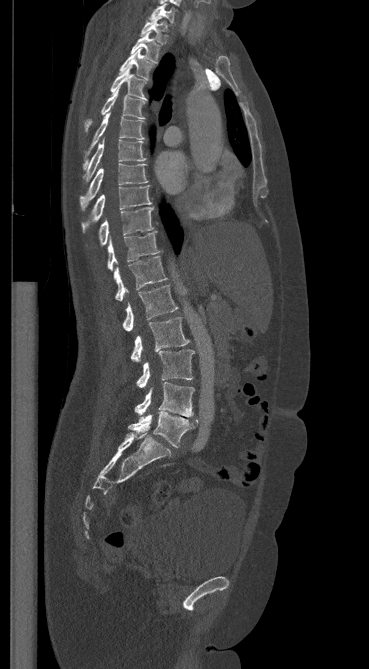
CT spine. sagittal view. 369x669 px
Each box given as x1,y1,x2,y2.
C7: x1=149, y1=3, x2=175, y2=24
T1: x1=140, y1=17, x2=167, y2=43
T2: x1=131, y1=32, x2=159, y2=62
T3: x1=119, y1=49, x2=152, y2=80
T4: x1=110, y1=67, x2=147, y2=100
T5: x1=84, y1=87, x2=145, y2=131
T6: x1=83, y1=112, x2=143, y2=169
T7: x1=83, y1=140, x2=145, y2=182
T8: x1=79, y1=163, x2=147, y2=210
T9: x1=82, y1=185, x2=151, y2=232
T10: x1=98, y1=207, x2=153, y2=245
T11: x1=107, y1=232, x2=159, y2=270
T12: x1=114, y1=256, x2=166, y2=301
L1: x1=122, y1=285, x2=177, y2=331
L2: x1=130, y1=317, x2=189, y2=361
L3: x1=136, y1=349, x2=194, y2=387
L4: x1=134, y1=382, x2=194, y2=418
L5: x1=128, y1=411, x2=198, y2=447